Spine computed tomography. sagittal plane, index 272. image width 350 mm. scan covers 6 annotated vertebrae
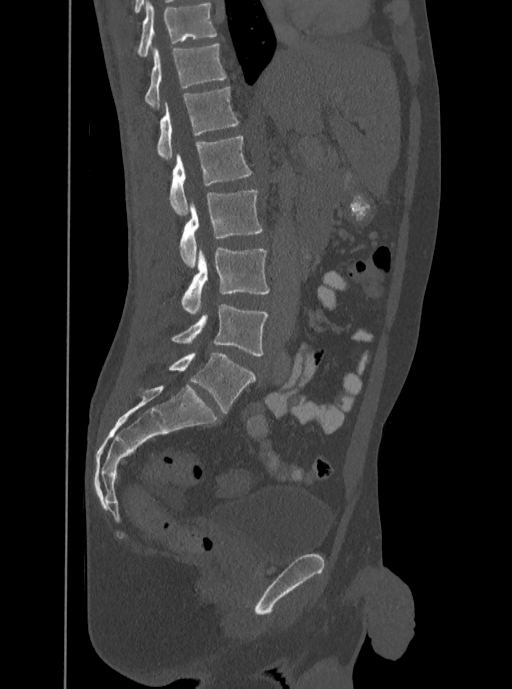

Each row gives a vertebra's box as x1, y1, x2, y2 in pixels: top-left corner, then bottom-right corner.
This scan's labels start at T12 at the top and end at L5 at the bottom.
| vertebra | x1 | y1 | x2 | y2 |
|---|---|---|---|---|
| T12 | 145 | 43 | 226 | 108 |
| L1 | 157 | 87 | 239 | 160 |
| L2 | 169 | 136 | 252 | 215 |
| L3 | 180 | 190 | 262 | 268 |
| L4 | 181 | 246 | 269 | 314 |
| L5 | 172 | 304 | 268 | 356 |